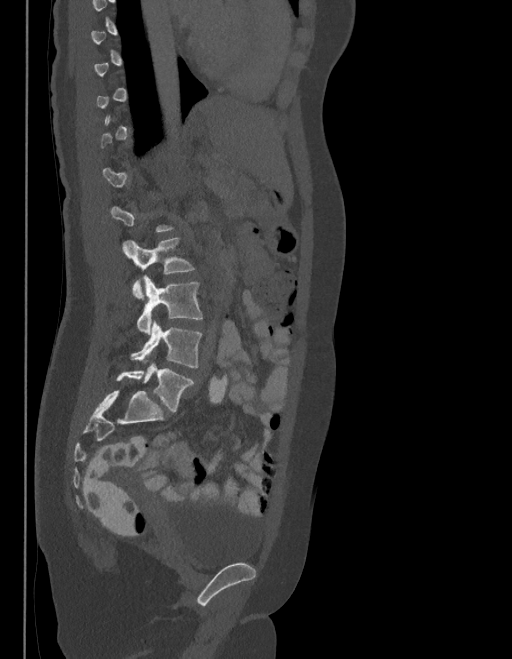 Spine computed tomography; the image is 403 mm wide; sagittal view; Bone window (WL 400, WW 1800)
Box edges are left/top/right/bottom in pixels.
Each vertebra is boxed only on the slices from the first to the last where its cross-section reaches a third of its largest, so a slice outside that range leaves it unboxed.
These labels give the spine a sixth lumbar vertebra, L6, below L5.
L6: left=117, top=361, right=192, bottom=412
L5: left=131, top=321, right=201, bottom=368
L4: left=137, top=277, right=202, bottom=334
L3: left=123, top=238, right=193, bottom=299